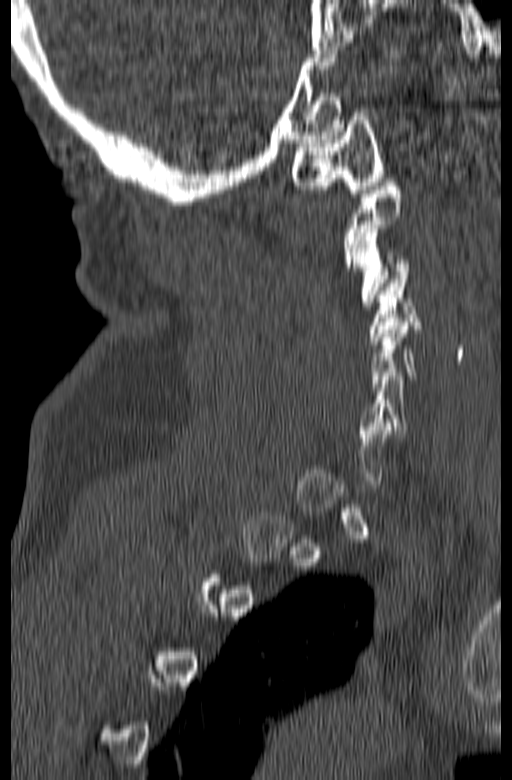 CT, spine; the image spans 165 mm across; sagittal view
Coordinates as <box>x1,y1,x2,y2</box>.
Each vertebra is boxed only on the slices from the first to the last where its cross-section reaches a third of its largest, so a slice outside that range leaves it unboxed.
C1: <box>291,112,384,197</box>
C3: <box>352,225,410,309</box>
C4: <box>370,272,422,344</box>